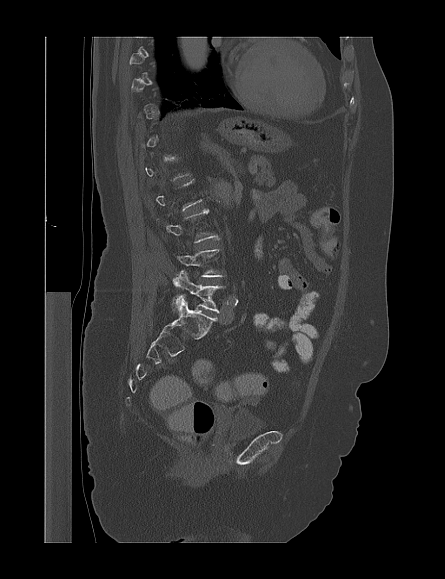

CT spine; sagittal view
Boxes are (x1, y1, x2, y2) in pixels.
Not every vertebra on this slice has a box: a vertebra is boxed only from the first to the last slice where its cross-section is at least a third of its largest, and this slice is outside that range for at least one of them.
L4: (172, 249, 225, 286)
L5: (171, 271, 223, 312)